Computed tomography of the spine · sagittal view · bone window
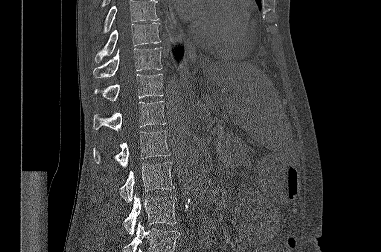
Box edges are left/top/right/bottom in pixels.
Where the top or bottom of the scan cuts through a vertebra, that vertebra gets no label or box.
Vertebra bounding boxes:
- L3: left=124, top=194, right=176, bottom=234
- L2: left=120, top=162, right=174, bottom=202
- L1: left=93, top=131, right=170, bottom=168
- T12: left=93, top=101, right=165, bottom=131
- T11: left=94, top=74, right=163, bottom=101
- T10: left=93, top=47, right=162, bottom=77
- T9: left=94, top=22, right=160, bottom=62